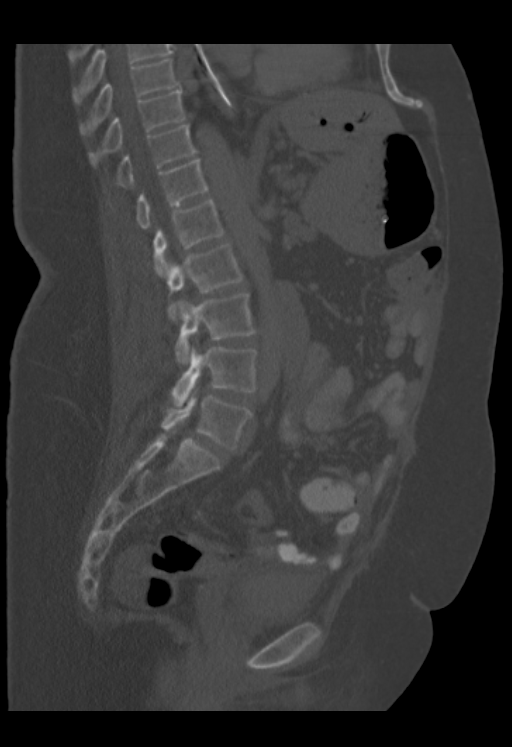

Computed tomography of the spine. sagittal view. Bone window (WL 400, WW 1800)
Box edges are left/top/right/bottom in pixels. In this scan, the topmost labeled vertebra is T9 and the lowest is L5. 9 vertebrae labeled — T9 at left=79, top=58, right=179, bottom=135; T10 at left=89, top=87, right=185, bottom=163; T11 at left=116, top=124, right=196, bottom=186; T12 at left=137, top=158, right=208, bottom=228; L1 at left=153, top=199, right=224, bottom=277; L2 at left=167, top=244, right=243, bottom=320; L3 at left=174, top=293, right=256, bottom=364; L4 at left=170, top=347, right=256, bottom=406; L5 at left=161, top=391, right=253, bottom=449.